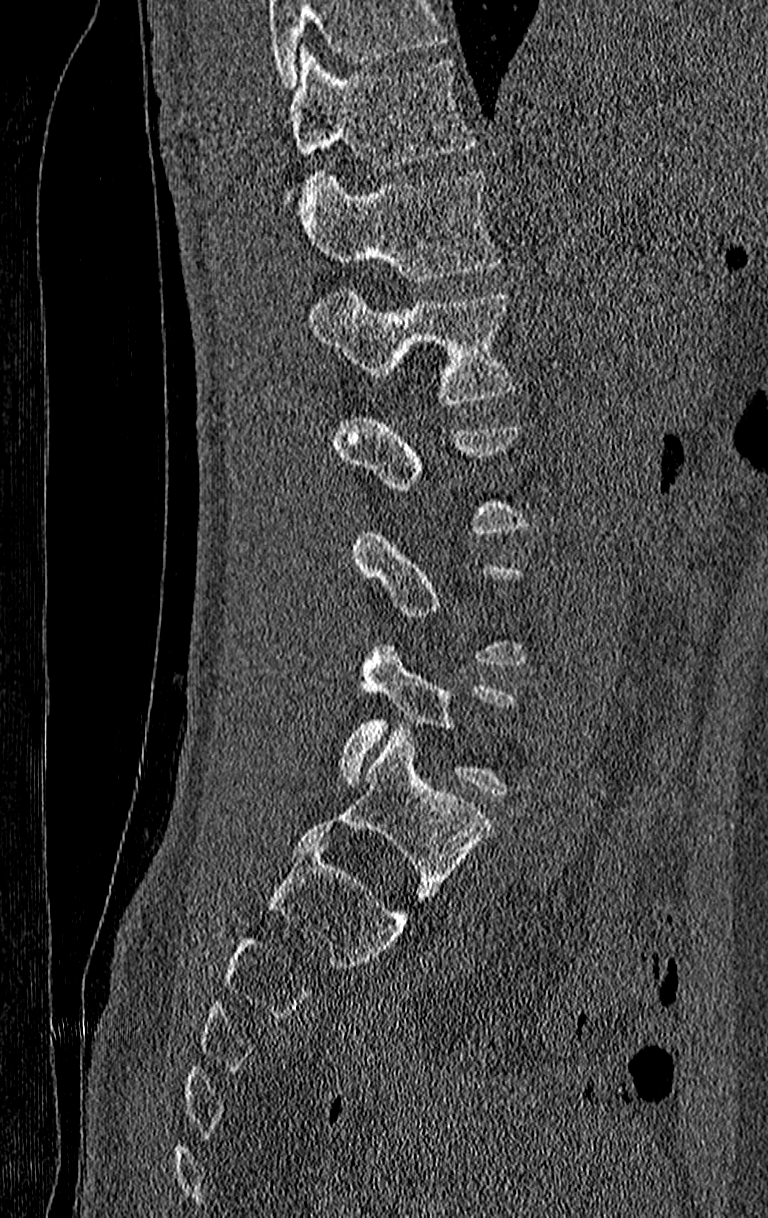 CT; sagittal view; W/L 1800/400 HU
Box edges are left/top/right/bottom in pixels.
A vertebra gets a box only on the slices from the first to the last where its cross-section is at least a third of its largest; on a slice outside that range it gets none.
Where the top of the scan cuts through a vertebra, that vertebra gets no label or box.
The highest labeled vertebra in this scan is T11; the lowest is L4.
Vertebra bounding boxes:
- T11: left=288, top=48, right=473, bottom=172
- T12: left=299, top=170, right=499, bottom=282
- L1: left=306, top=290, right=513, bottom=405
- L4: left=339, top=645, right=513, bottom=797